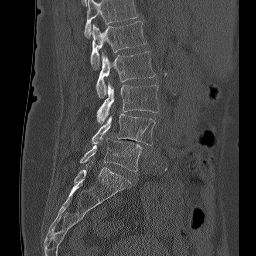
Spine computed tomography — sagittal view — bone-window reconstruction

Box edges are left/top/right/bottom in pixels.
The highest labeled vertebra in this scan is L1; the lowest is L5.
Vertebra bounding boxes:
- L1: left=90, top=21, right=146, bottom=70
- L2: left=96, top=51, right=155, bottom=97
- L3: left=96, top=83, right=159, bottom=123
- L4: left=91, top=113, right=155, bottom=145
- L5: left=80, top=137, right=141, bottom=172